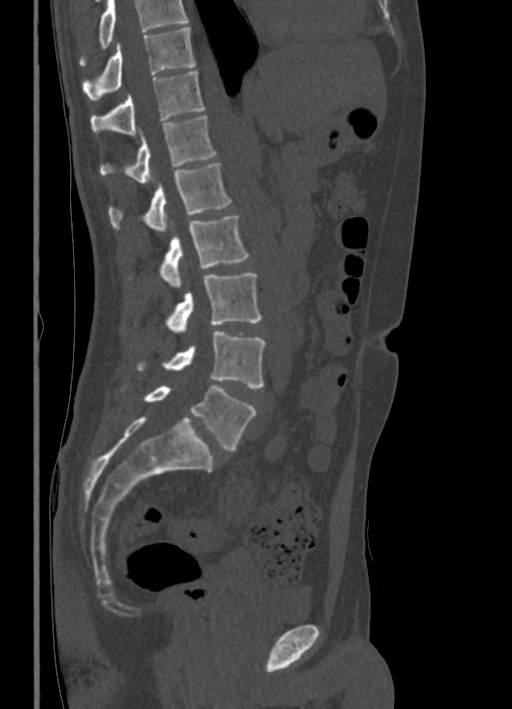
Computed tomography of the spine · sagittal view

Boxes below are [x1, y1, x2, y2] in pixels.
No box is given to a vertebra that the top edge of the scan cuts off.
{"vertebrae":{"T10":[82,27,195,99],"T11":[90,70,205,134],"T12":[100,116,217,183],"L1":[108,163,232,233],"L2":[160,215,249,287],"L3":[166,273,261,333],"L4":[135,331,266,388],"L5":[143,385,256,450]}}